CT spine · sagittal reformat · 160 mm image width · 512x760 px · 10 vertebrae labeled in this scan
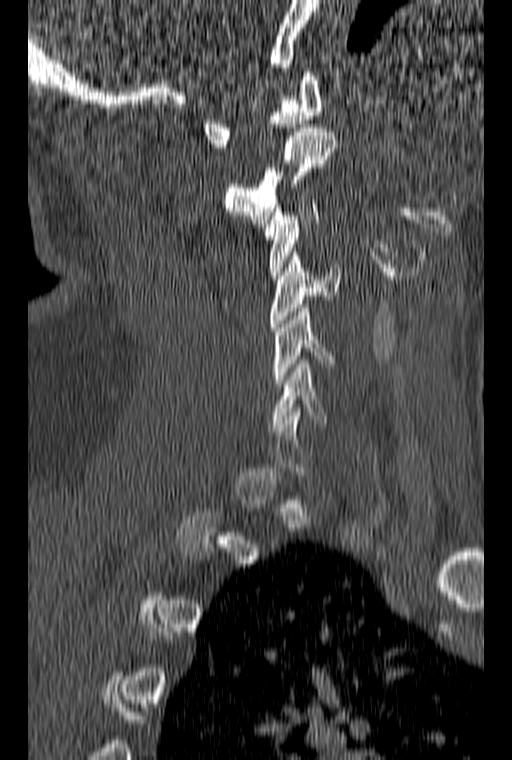
In the table, x1 and y1 are a box's top-left corner and x2 and y2 its bottom-right corner, in pixels.
A vertebra is boxed only from the first to the last slice where its cross-section is at least a third of its largest; slices outside that range leave it without a box.
| vertebra | x1 | y1 | x2 | y2 |
|---|---|---|---|---|
| C6 | 270 | 360 | 327 | 427 |
| C5 | 273 | 304 | 335 | 387 |
| C4 | 270 | 252 | 339 | 331 |
| C3 | 265 | 200 | 319 | 279 |
| C2 | 224 | 128 | 336 | 223 |
| C1 | 201 | 72 | 322 | 147 |